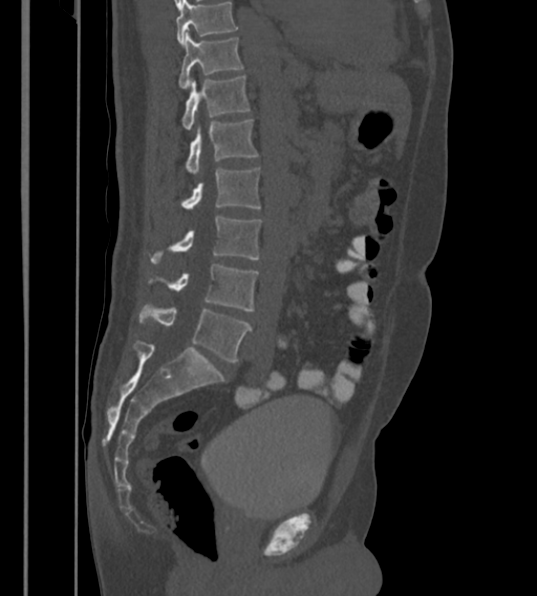
CT. sagittal view. bone window
Boxes below are [x1, y1, x2, y2] in pixels.
This scan's labels start at T12 at the top and end at L6 at the bottom.
These labels give the spine a sixth lumbar vertebra, L6, below L5.
{"vertebrae":{"L6":[139,306,252,363],"L5":[170,264,258,311],"L4":[152,216,260,261],"L3":[182,167,260,213],"L2":[186,119,258,176],"L1":[182,75,249,130],"T12":[178,32,242,89]}}